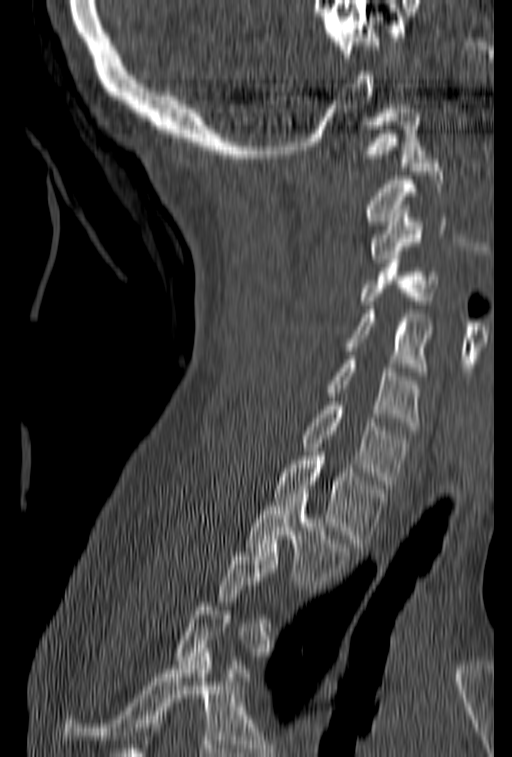 Spine computed tomography — image 153 mm wide — sagittal view
Bounding boxes as [x1, y1, x2, y2] in pixel coordinates.
Each vertebra is boxed only on the slices from the first to the last where its cross-section reaches a third of its largest, so a slice outside that range leaves it unboxed.
Vertebra bounding boxes:
- T2: [246, 489, 352, 589]
- T1: [274, 452, 388, 547]
- C7: [299, 397, 412, 488]
- C6: [326, 356, 422, 430]
- C5: [343, 310, 432, 375]
- C4: [359, 251, 439, 309]
- C3: [369, 205, 464, 263]
- C2: [363, 159, 445, 229]
- C1: [353, 109, 427, 166]